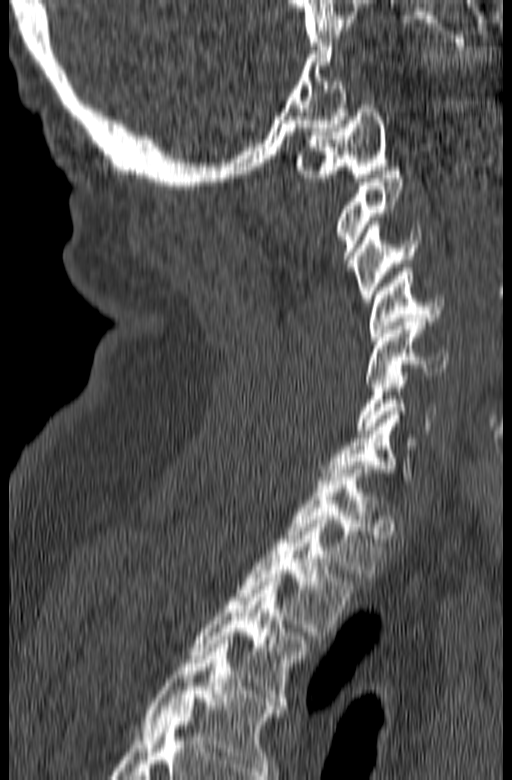
Spine computed tomography; sagittal view; image 165 mm wide
Labels in this scan begin with C1 at the top and end with T3 at the bottom.
<vertebrae><v name="T3" x1="190" y1="578" x2="307" y2="705"/><v name="T2" x1="238" y1="520" x2="357" y2="639"/><v name="T1" x1="283" y1="465" x2="383" y2="577"/><v name="C7" x1="320" y1="411" x2="418" y2="480"/><v name="C6" x1="355" y1="368" x2="436" y2="433"/><v name="C5" x1="364" y1="318" x2="448" y2="387"/><v name="C4" x1="370" y1="268" x2="444" y2="340"/><v name="C3" x1="352" y1="221" x2="420" y2="302"/><v name="C2" x1="336" y1="167" x2="403" y2="271"/><v name="C1" x1="295" y1="101" x2="388" y2="181"/></vertebrae>